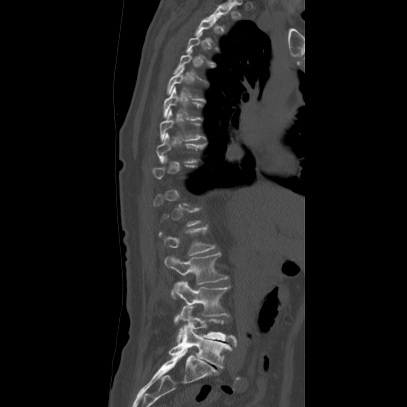
Spine CT. sagittal view. W/L 1800/400 HU. 407x407 px
Columns x1, y1, x2, y2 give each box's top-left and bottom-right pixels.
Not every vertebra on this slice has a box: a vertebra is boxed only from the first to the last slice where its cross-section is at least a third of its largest, and this slice is outside that range for at least one of them.
| vertebra | x1 | y1 | x2 | y2 |
|---|---|---|---|---|
| L5 | 168 | 324 | 232 | 368 |
| L4 | 175 | 304 | 236 | 345 |
| L3 | 174 | 281 | 229 | 320 |
| L2 | 163 | 252 | 227 | 300 |
| L1 | 158 | 225 | 214 | 255 |
| T9 | 156 | 133 | 204 | 163 |
| T8 | 158 | 108 | 204 | 141 |
| T7 | 162 | 86 | 203 | 120 |
| T6 | 167 | 66 | 206 | 102 |
| T5 | 173 | 49 | 215 | 82 |